CT — 140 mm image width — sagittal reformat — 512x681 px — scan covers 8 annotated vertebrae
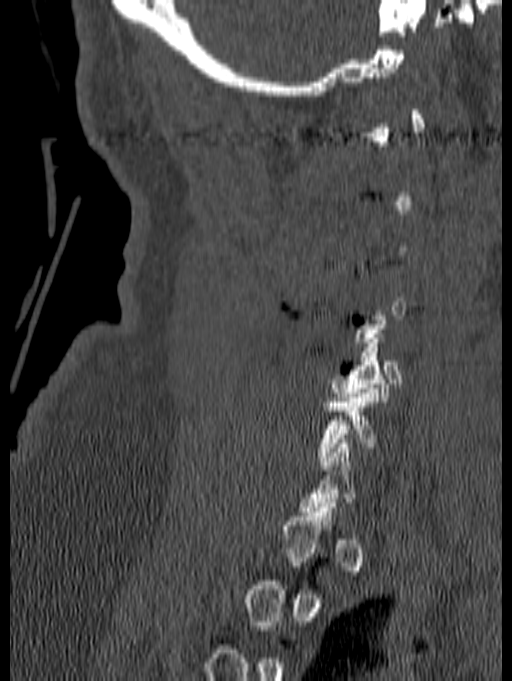
Each box given as x1,y1,x2,y2.
A vertebra gets a box only on the slices from the first to the last where its cross-section is at least a third of its largest; on a slice outside that range it gets none.
Vertebra bounding boxes:
- C5: x1=328, y1=334, x2=401, y2=401
- C6: x1=316, y1=384, x2=379, y2=465